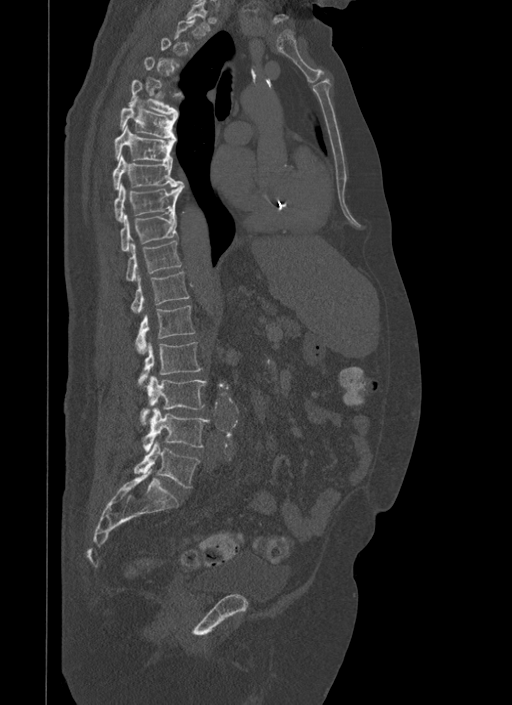
Spine CT · sagittal reformat · Bone window (WL 400, WW 1800)
Each vertebra is boxed only on the slices from the first to the last where its cross-section reaches a third of its largest, so a slice outside that range leaves it unboxed.
<vertebrae><v name="L5" x1="135" y1="441" x2="200" y2="487"/><v name="L4" x1="143" y1="408" x2="209" y2="452"/><v name="L3" x1="141" y1="376" x2="206" y2="424"/><v name="L2" x1="139" y1="342" x2="202" y2="384"/><v name="L1" x1="136" y1="305" x2="195" y2="353"/><v name="T12" x1="131" y1="271" x2="189" y2="312"/><v name="T11" x1="125" y1="241" x2="182" y2="281"/><v name="T10" x1="120" y1="212" x2="177" y2="251"/><v name="T9" x1="114" y1="182" x2="184" y2="221"/><v name="T8" x1="112" y1="155" x2="181" y2="189"/><v name="T7" x1="114" y1="125" x2="174" y2="162"/><v name="T6" x1="119" y1="104" x2="176" y2="139"/><v name="T5" x1="128" y1="80" x2="184" y2="117"/></vertebrae>